Spine computed tomography — sagittal reformat — scan covers 11 annotated vertebrae
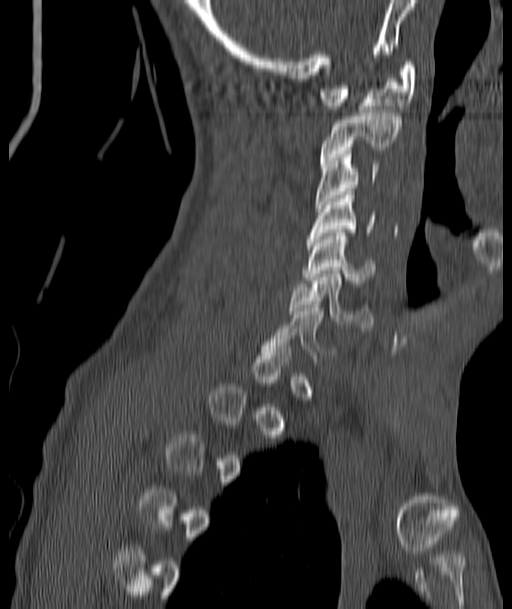
Columns x1, y1, x2, y2 give each box's top-left and bottom-right pixels.
A vertebra gets a box only on the slices from the first to the last where its cross-section is at least a third of its largest; on a slice outside that range it gets none.
| vertebra | x1 | y1 | x2 | y2 |
|---|---|---|---|---|
| C1 | 321 | 62 | 416 | 109 |
| C2 | 321 | 110 | 400 | 163 |
| C3 | 316 | 151 | 378 | 208 |
| C4 | 308 | 192 | 375 | 239 |
| C5 | 305 | 229 | 375 | 286 |
| C6 | 288 | 270 | 372 | 328 |